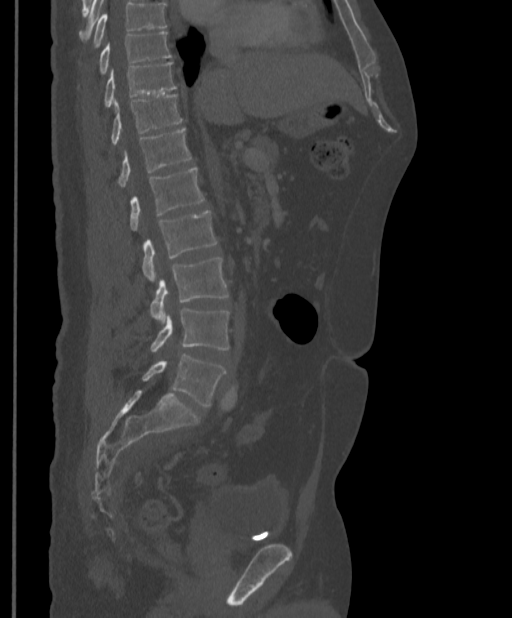 CT spine. sagittal view. W/L 1800/400 HU

A vertebra cut off by the top edge of the scan is not labeled and has no box.
<vertebrae><v name="T9" x1="99" y1="31" x2="172" y2="75"/><v name="T10" x1="104" y1="62" x2="176" y2="107"/><v name="T11" x1="111" y1="94" x2="182" y2="145"/><v name="T12" x1="117" y1="128" x2="191" y2="186"/><v name="L1" x1="129" y1="168" x2="204" y2="230"/><v name="L2" x1="142" y1="210" x2="217" y2="280"/><v name="L3" x1="149" y1="257" x2="228" y2="323"/><v name="L4" x1="149" y1="308" x2="230" y2="352"/><v name="L5" x1="142" y1="355" x2="226" y2="407"/></vertebrae>